Spine CT — sagittal view — 512x1010 px — 140 mm across the image
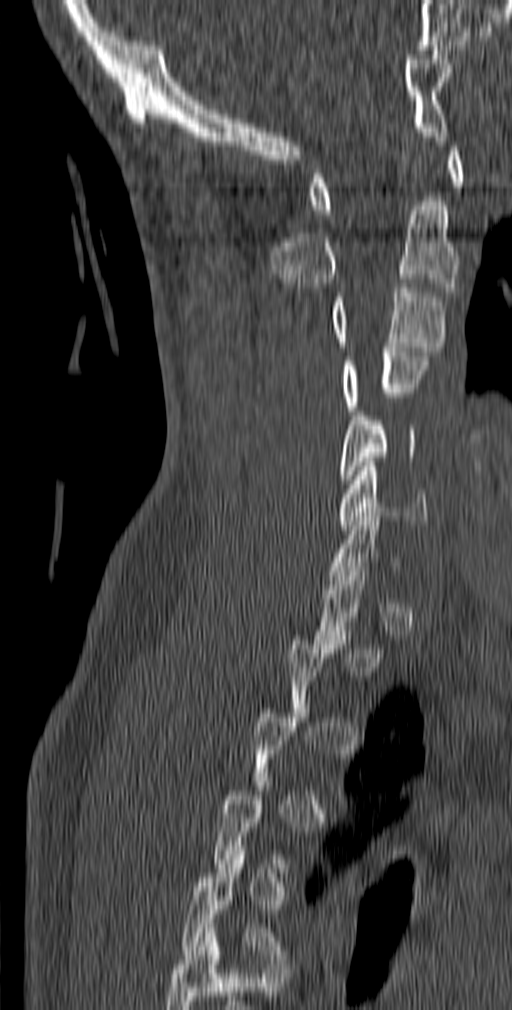 Each box is [x1, y1, x2, y2] in pixels: top-left corner, then bottom-right corner.
Not every vertebra on this slice has a box: a vertebra is boxed only from the first to the last slice where its cross-section is at least a third of its largest, and this slice is outside that range for at least one of them.
In this scan, the topmost labeled vertebra is C1 and the lowest is T5.
{"vertebrae":{"C1":[309,146,465,214],"C2":[271,201,459,292],"C3":[330,283,447,356],"C4":[341,347,428,415],"C5":[338,411,417,484],"C6":[338,462,428,529],"T5":[181,850,283,964]}}